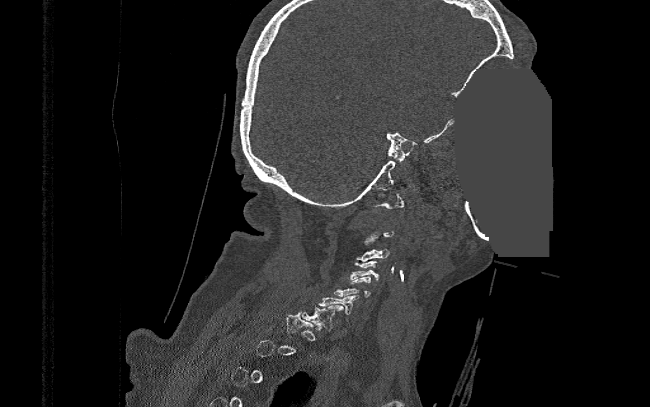
CT spine — sagittal view — W/L 1800/400 HU — the image is 390 mm wide — part of the image has been replaced by a constant value
Boxes: x1 y1 x2 y2 (pixel coords, space-separated).
A vertebra gets a box only on the slices from the first to the last where its cross-section is at least a third of its largest; on a slice outside that range it gets none.
C3: 355 249 389 261
C4: 348 261 379 280
C5: 334 276 371 297
C7: 301 305 343 331